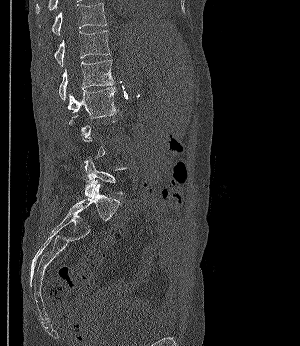

CT. sagittal view. Bone window (WL 400, WW 1800)
Bounding boxes as [x1, y1, x2, y2] in pixel coordinates.
Each vertebra is boxed only on the slices from the first to the last where its cross-section reaches a third of its largest, so a slice outside that range leaves it unboxed.
Vertebra bounding boxes:
- T11: [39, 3, 106, 35]
- T12: [39, 30, 110, 66]
- L1: [59, 60, 113, 100]
- L2: [68, 87, 118, 118]
- L5: [83, 156, 129, 197]